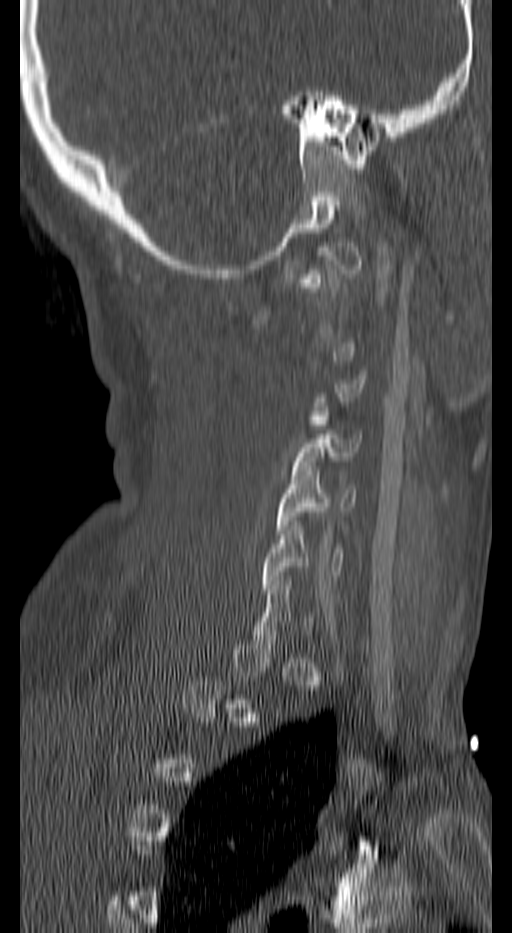 CT, spine · sagittal reformat · image 140 mm wide
Each vertebra is boxed only on the slices from the first to the last where its cross-section reaches a third of its largest, so a slice outside that range leaves it unboxed.
<vertebrae><v name="C4" x1="294" y1="434" x2="362" y2="470"/><v name="C5" x1="276" y1="466" x2="355" y2="534"/><v name="C6" x1="261" y1="521" x2="344" y2="593"/></vertebrae>